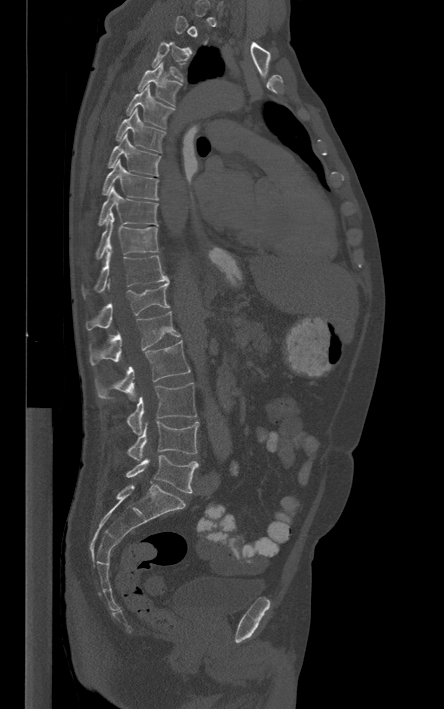

CT, spine; sagittal view; Bone window (WL 400, WW 1800). Columns x1, y1, x2, y2 give each box's top-left and bottom-right pixels.
Each vertebra is boxed only on the slices from the first to the last where its cross-section reaches a third of its largest, so a slice outside that range leaves it unboxed.
| vertebra | x1 | y1 | x2 | y2 |
|---|---|---|---|---|
| T3 | 151 | 42 | 184 | 81 |
| T4 | 137 | 62 | 182 | 106 |
| T5 | 125 | 85 | 174 | 128 |
| T6 | 116 | 108 | 165 | 152 |
| T7 | 107 | 133 | 160 | 175 |
| T8 | 102 | 160 | 158 | 200 |
| T9 | 98 | 187 | 157 | 225 |
| T10 | 95 | 219 | 158 | 258 |
| T11 | 81 | 250 | 168 | 296 |
| T12 | 86 | 279 | 169 | 330 |
| L1 | 90 | 311 | 180 | 365 |
| L2 | 95 | 340 | 190 | 398 |
| L3 | 126 | 382 | 196 | 434 |
| L4 | 127 | 421 | 198 | 460 |
| L5 | 126 | 455 | 198 | 493 |